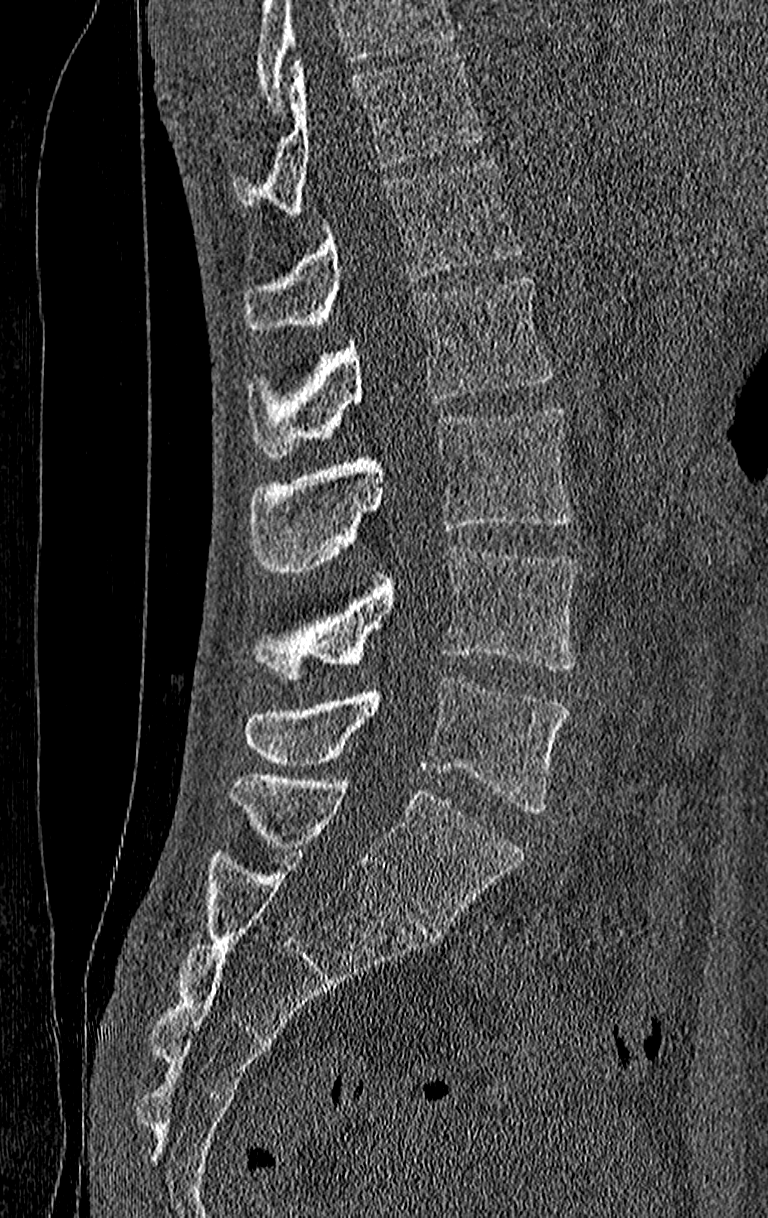

CT spine; sagittal view; the image is 210 mm wide; Bone window (WL 400, WW 1800); 768x1218 px
Boxes: x1 y1 x2 y2 (pixel coords, space-separated). Where the top of the scan cuts through a vertebra, that vertebra gets no label or box. The highest labeled vertebra in this scan is T11; the lowest is L4. 6 vertebrae labeled — T11 at 233 53 480 216; T12 at 244 158 524 330; L1 at 247 278 554 457; L2 at 247 406 572 573; L3 at 251 546 579 680; L4 at 244 678 568 812.